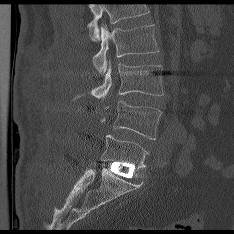

CT — sagittal view — W/L 1800/400 HU — 234x234 px

Coordinates as <box>x1,y1,x2,y2</box>. Vertebrae that run past the top of the scan are left unlabeled. 4 vertebrae labeled — L2 at <box>92,24,158,74</box>; L3 at <box>91,63,163,97</box>; L4 at <box>100,101,161,139</box>; L5 at <box>99,135,149,167</box>.